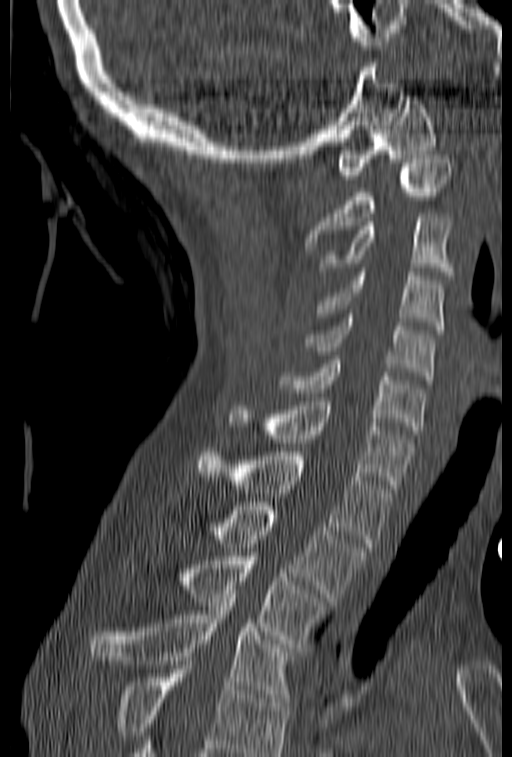 CT, spine — sagittal view
Columns x1, y1, x2, y2 give each box's top-left and bottom-right pixels.
Where the bottom of the scan cuts through a vertebra, that vertebra gets no label or box.
| vertebra | x1 | y1 | x2 | y2 |
|---|---|---|---|---|
| C1 | 338 | 96 | 436 | 179 |
| C2 | 304 | 155 | 449 | 246 |
| C3 | 318 | 213 | 453 | 275 |
| C4 | 316 | 268 | 445 | 334 |
| C5 | 305 | 314 | 435 | 380 |
| C6 | 277 | 360 | 425 | 434 |
| C7 | 231 | 397 | 415 | 488 |
| T1 | 198 | 448 | 395 | 547 |
| T2 | 213 | 502 | 365 | 601 |
| T3 | 185 | 552 | 328 | 647 |
| T4 | 91 | 590 | 291 | 702 |